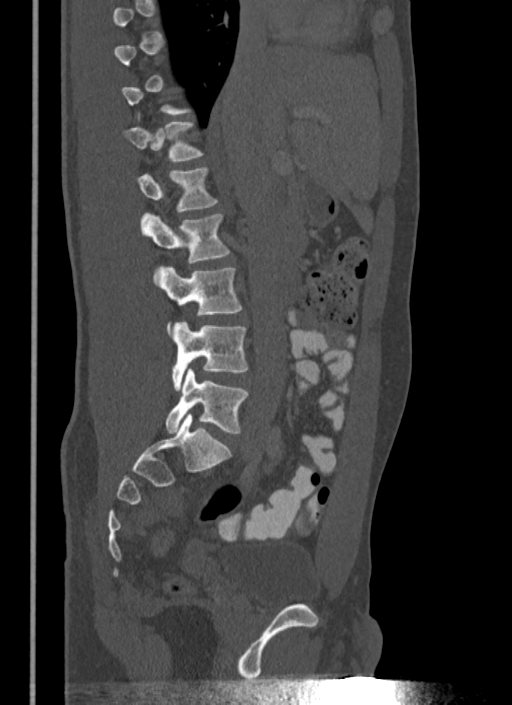 CT, spine. sagittal view. 512x705 px. Columns x1, y1, x2, y2 give each box's top-left and bottom-right pixels.
A vertebra is boxed only from the first to the last slice where its cross-section is at least a third of its largest; slices outside that range leave it without a box.
| vertebra | x1 | y1 | x2 | y2 |
|---|---|---|---|---|
| T12 | 123 | 122 | 202 | 162 |
| L1 | 137 | 167 | 217 | 211 |
| L2 | 141 | 214 | 229 | 263 |
| L3 | 159 | 267 | 241 | 330 |
| L4 | 171 | 321 | 247 | 391 |
| L5 | 165 | 369 | 247 | 434 |